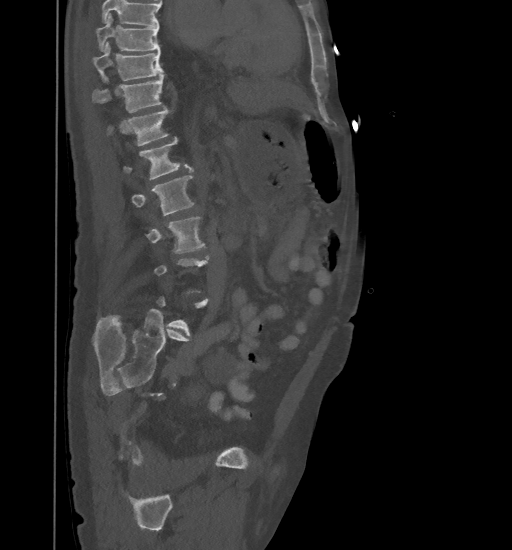 Spine CT; sagittal view; 512x550 px
Each box given as x1,y1,x2,y2. A vertebra is boxed only from the first to the last slice where its cross-section is at least a third of its largest; slices outside that range leave it without a box. Where the top of the scan cuts through a vertebra, that vertebra gets no label or box. 7 vertebrae labeled — T9 at x1=95, y1=13, x2=159, y2=51; T10 at x1=93, y1=42, x2=163, y2=81; T11 at x1=92, y1=74, x2=163, y2=112; T12 at x1=107, y1=109, x2=168, y2=146; L1 at x1=124, y1=138, x2=193, y2=179; L2 at x1=132, y1=176, x2=194, y2=216; L3 at x1=146, y1=217, x2=204, y2=252.